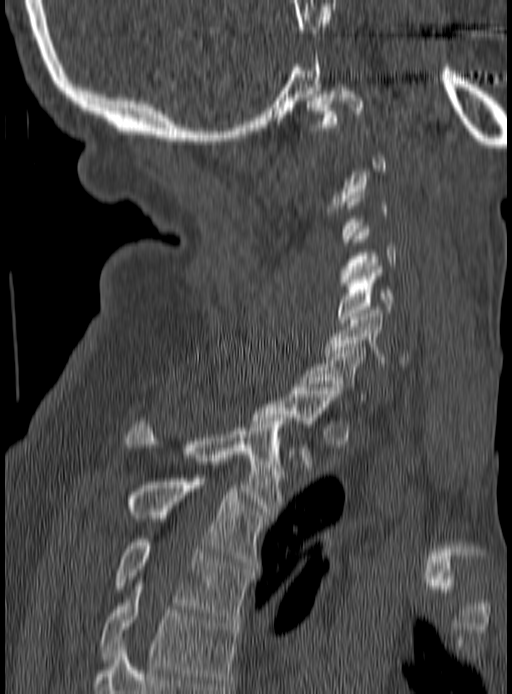
Spine CT — sagittal reformat — Bone window (WL 400, WW 1800)
Boxes: x1:y1:x2:y2 in pixels.
Not every vertebra on this slice has a box: a vertebra is boxed only from the first to the last slice where its cross-section is at least a third of its largest, and this slice is outside that range for at least one of them.
Vertebra bounding boxes:
- C1: 308:84:364:127
- C4: 342:226:396:289
- C5: 338:266:393:322
- C6: 324:310:411:366
- C7: 303:347:368:403
- T1: 251:387:339:460
- T2: 128:418:288:514
- T3: 125:475:264:565
- T4: 114:539:250:619
- T5: 101:586:237:686